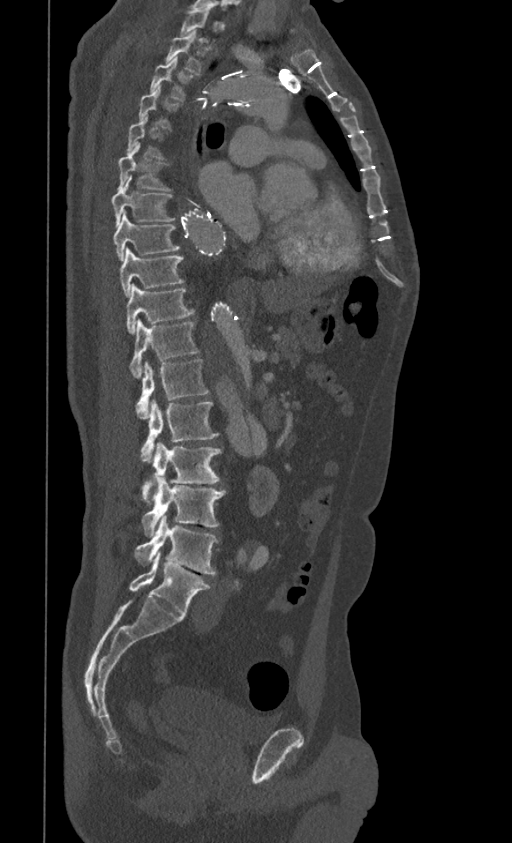
Computed tomography of the spine; sagittal view
<vertebrae><v name="T1" x1="180" y1="10" x2="214" y2="45"/><v name="T2" x1="165" y1="30" x2="205" y2="75"/><v name="T3" x1="150" y1="59" x2="194" y2="101"/><v name="T4" x1="138" y1="85" x2="179" y2="128"/><v name="T5" x1="127" y1="115" x2="166" y2="158"/><v name="T6" x1="118" y1="146" x2="171" y2="191"/><v name="T7" x1="111" y1="177" x2="176" y2="227"/><v name="T8" x1="113" y1="211" x2="180" y2="261"/><v name="T9" x1="119" y1="247" x2="184" y2="297"/><v name="T10" x1="126" y1="284" x2="194" y2="333"/><v name="T11" x1="129" y1="320" x2="199" y2="378"/><v name="T12" x1="136" y1="359" x2="209" y2="418"/><v name="L1" x1="141" y1="400" x2="218" y2="462"/><v name="L2" x1="141" y1="442" x2="222" y2="504"/><v name="L3" x1="141" y1="476" x2="226" y2="537"/><v name="L4" x1="135" y1="513" x2="218" y2="574"/><v name="L5" x1="129" y1="551" x2="211" y2="615"/></vertebrae>